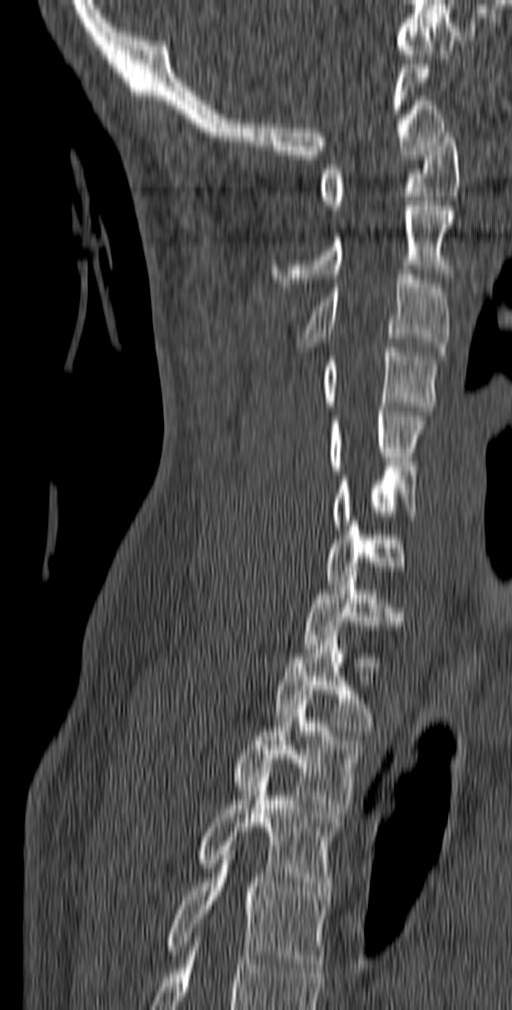 Spine computed tomography — sagittal reformat — Bone window (WL 400, WW 1800) — 512x1010 px
Boxes are (x1, y1, x2, y2) in pixels.
T5: (166, 850, 328, 973)
T4: (199, 773, 340, 900)
T3: (235, 695, 361, 813)
T2: (274, 631, 373, 730)
T1: (303, 576, 403, 653)
C7: (327, 521, 404, 584)
C6: (333, 466, 417, 529)
C5: (328, 407, 425, 474)
C4: (323, 343, 439, 415)
C3: (297, 270, 450, 356)
C2: (270, 201, 454, 287)
C1: (320, 128, 459, 214)